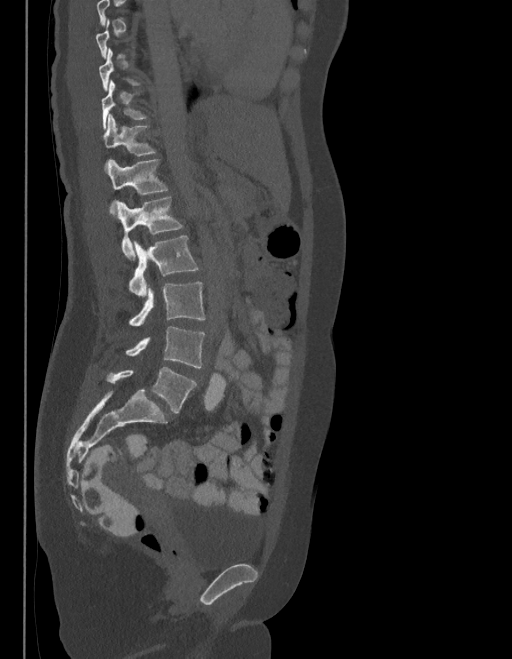

Spine computed tomography. sagittal view
Each box given as x1,y1,x2,y2.
A vertebra gets a box only on the slices from the first to the last where its cross-section is at least a third of its largest; on a slice outside that range it gets none.
These labels give the spine a sixth lumbar vertebra, L6, below L5.
T11: x1=102, y1=81, x2=148, y2=129
T12: x1=103, y1=115, x2=155, y2=169
L1: x1=108, y1=159, x2=168, y2=215
L2: x1=118, y1=197, x2=182, y2=260
L3: x1=128, y1=236, x2=198, y2=295
L4: x1=128, y1=281, x2=205, y2=325
L5: x1=126, y1=327, x2=205, y2=368
L6: x1=107, y1=367, x2=196, y2=413